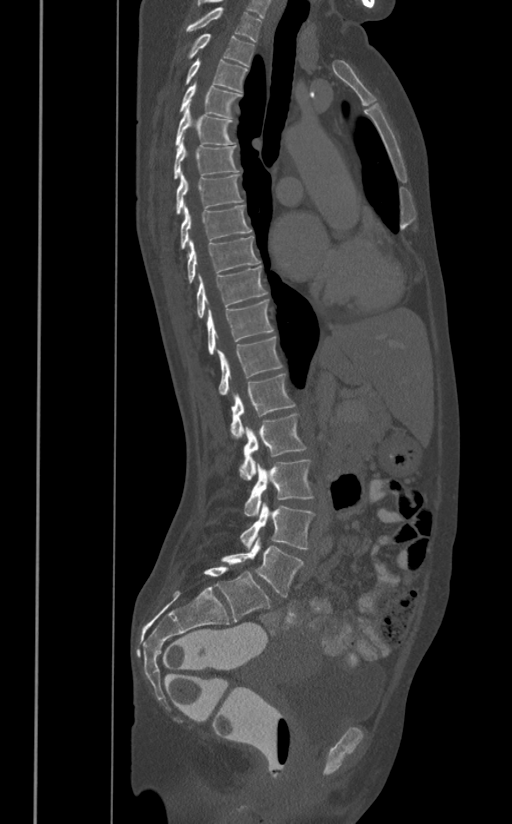

CT spine — sagittal reformat. Box edges are left/top/right/bottom in pixels. 17 vertebrae labeled — T1 at left=186, top=7, right=261, bottom=41; T2 at left=187, top=33, right=254, bottom=66; T3 at left=184, top=59, right=248, bottom=91; T4 at left=180, top=81, right=241, bottom=117; T5 at left=175, top=104, right=236, bottom=146; T6 at left=174, top=137, right=240, bottom=178; T7 at left=177, top=172, right=242, bottom=213; T8 at left=181, top=204, right=252, bottom=248; T9 at left=187, top=236, right=259, bottom=283; T10 at left=196, top=266, right=267, bottom=317; T11 at left=207, top=298, right=273, bottom=354; T12 at left=217, top=337, right=282, bottom=394; L1 at left=230, top=374, right=295, bottom=439; L2 at left=239, top=414, right=307, bottom=480; L3 at left=243, top=460, right=313, bottom=516; L4 at left=241, top=502, right=314, bottom=549; L5 at left=221, top=536, right=304, bottom=597.